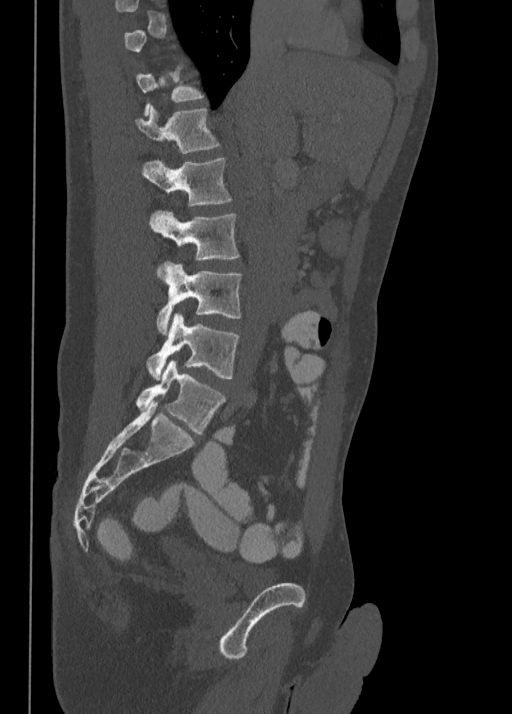
CT; sagittal view; 512x714 px. Box edges are left/top/right/bottom in pixels.
A vertebra is boxed only from the first to the last slice where its cross-section is at least a third of its largest; slices outside that range leave it without a box.
| vertebra | x1 | y1 | x2 | y2 |
|---|---|---|---|---|
| L5 | 136 | 361 | 226 | 435 |
| L4 | 146 | 313 | 239 | 379 |
| L3 | 156 | 261 | 242 | 335 |
| L2 | 150 | 211 | 240 | 277 |
| L1 | 142 | 158 | 231 | 204 |
| T12 | 136 | 104 | 220 | 154 |
| T11 | 136 | 65 | 205 | 117 |